CT spine; Sagittal slice 226/512; scan covers 7 annotated vertebrae; the image is 345 mm wide
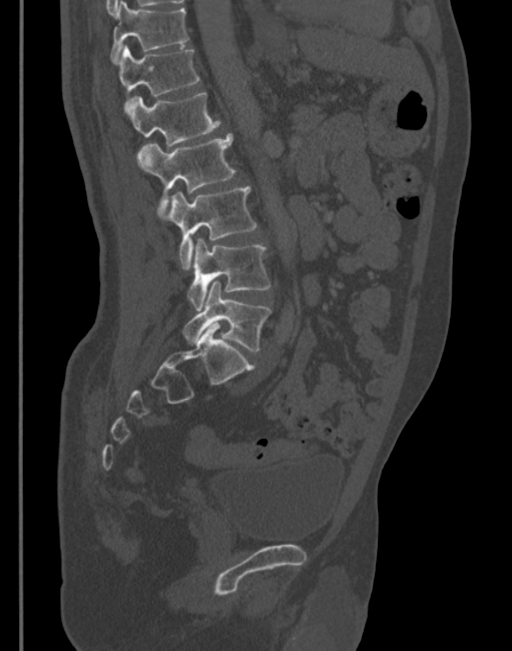

Box edges are left/top/right/bottom in pixels. The labeled vertebrae in this slice are: L5 at left=184, top=280, right=270, bottom=352, L4 at left=187, top=239, right=270, bottom=310, L3 at left=162, top=186, right=257, bottom=270, L2 at left=138, top=133, right=235, bottom=216, L1 at left=124, top=93, right=220, bottom=146, T12 at left=117, top=45, right=199, bottom=109, T11 at left=111, top=1, right=189, bottom=63.